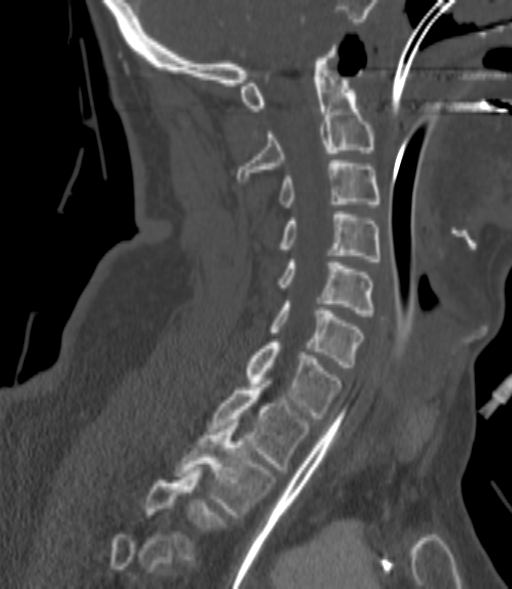

CT, spine — sagittal view
Box edges are left/top/right/bottom in pixels. A vertebra is boxed only from the first to the last slice where its cross-section is at least a third of its largest; slices outside that range leave it without a box. Vertebrae labeled: C2 at left=236, top=48, right=374, bottom=181, C3 at left=280, top=160, right=379, bottom=207, C4 at left=280, top=211, right=379, bottom=261, C5 at left=277, top=262, right=374, bottom=316, C6 at left=270, top=301, right=363, bottom=367, C7 at left=247, top=339, right=340, bottom=418, T1 at left=208, top=381, right=310, bottom=469, T2 at left=175, top=422, right=274, bottom=517.